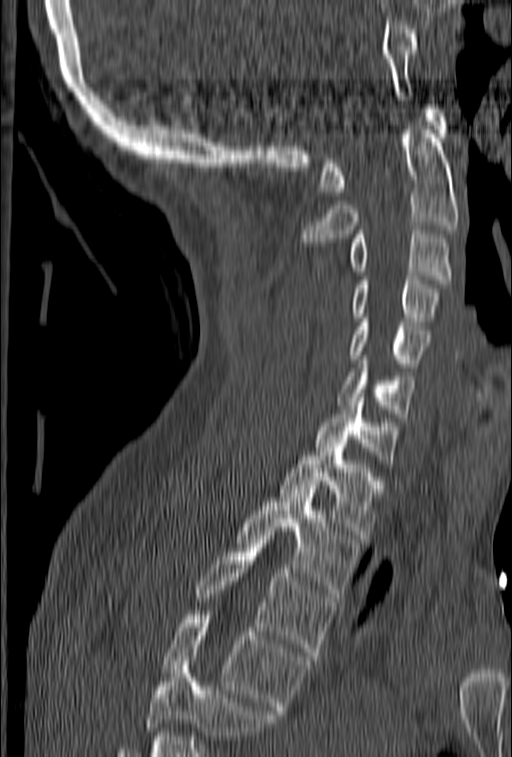
CT spine. sagittal view
Each vertebra maps to its box as [x1, y1, x2, y2], the pixel coordinates of its top-left and bottom-right corners.
Vertebrae that run past the bottom of the scan are left unlabeled.
{"vertebrae":{"C1":[319,105,447,196],"C2":[302,125,459,246],"C3":[349,230,452,283],"C4":[349,276,439,325],"C5":[349,314,429,371],"C6":[339,356,417,417],"C7":[312,393,398,467],"T1":[279,448,382,539],"T2":[236,489,360,597],"T3":[194,540,335,660],"T4":[161,611,309,714]}}